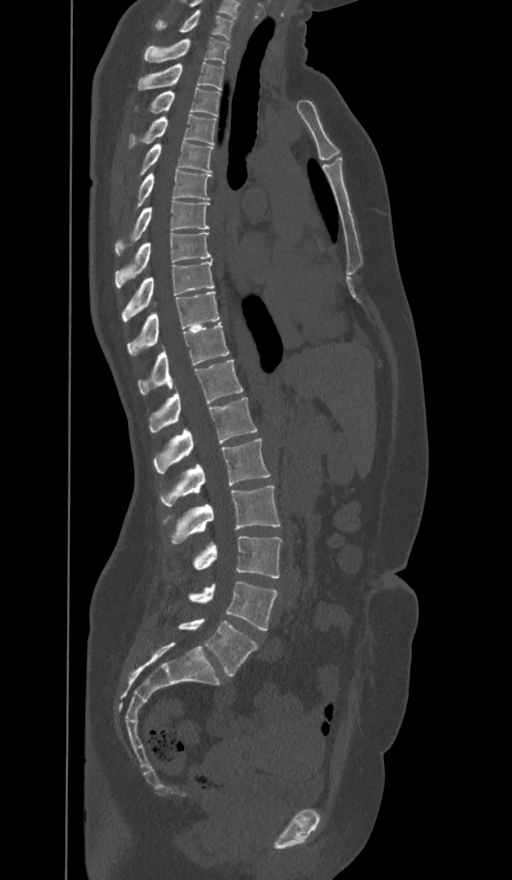
Spine CT · sagittal view. Bounding boxes as [x1, y1, x2, y2] in pixel coordinates. These labels give the spine a sixth lumbar vertebra, L6, below L5. The labeled vertebrae in this slice are: C7 at [156, 9, 233, 40], T1 at [145, 38, 229, 63], T2 at [138, 63, 223, 90], T3 at [135, 87, 219, 115], T4 at [128, 113, 215, 149], T5 at [138, 140, 212, 175], T6 at [135, 169, 210, 208], T7 at [115, 201, 208, 254], T8 at [115, 233, 211, 287], T9 at [122, 260, 214, 322], T10 at [127, 291, 219, 356], T11 at [138, 323, 229, 394], T12 at [149, 360, 242, 433], L1 at [153, 397, 256, 473], L2 at [160, 439, 270, 505], L3 at [163, 485, 279, 544], L4 at [193, 536, 281, 578], L5 at [187, 582, 277, 630], L6 at [178, 619, 258, 677].